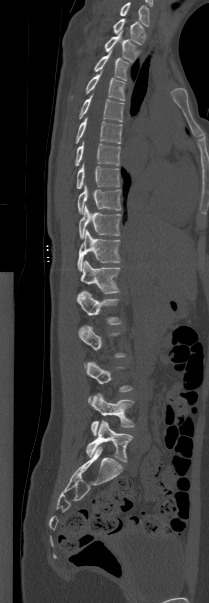

CT spine; sagittal view
Each box given as x1,y1,x2,y2.
A vertebra is boxed only from the first to the last slice where its cross-section is at least a third of its largest; slices outside that range leave it without a box.
Labels in this scan begin with T1 at the top and end with L5 at the bottom.
| vertebra | x1 | y1 | x2 | y2 |
|---|---|---|---|---|
| T1 | 113 | 18 | 144 | 44 |
| T2 | 104 | 30 | 137 | 61 |
| T3 | 94 | 52 | 128 | 80 |
| T4 | 85 | 70 | 125 | 100 |
| T5 | 79 | 94 | 123 | 121 |
| T6 | 75 | 117 | 122 | 143 |
| T7 | 75 | 142 | 120 | 165 |
| T8 | 76 | 163 | 120 | 188 |
| T9 | 77 | 184 | 121 | 213 |
| T10 | 79 | 205 | 120 | 238 |
| T11 | 77 | 229 | 120 | 271 |
| T12 | 80 | 260 | 119 | 293 |
| L1 | 77 | 291 | 121 | 324 |
| L3 | 85 | 361 | 132 | 402 |
| L4 | 91 | 393 | 134 | 435 |
| L5 | 86 | 420 | 132 | 462 |